Spine computed tomography; sagittal view
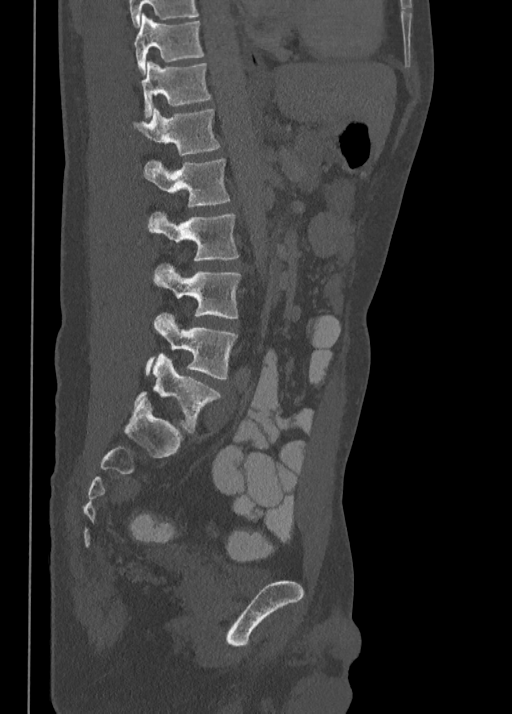
Each box is [x1, y1, x2, y2] in pixels: top-left corner, then bottom-right corner.
{"vertebrae":{"T10":[134,13,204,73],"T11":[140,61,211,117],"T12":[133,108,220,156],"L1":[143,159,230,207],"L2":[148,212,239,261],"L3":[152,263,240,318],"L4":[145,313,237,379],"L5":[134,354,221,432]}}